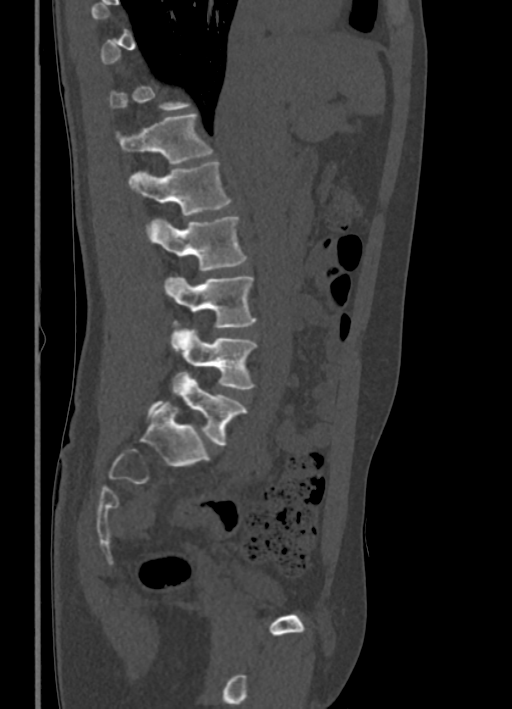
CT · sagittal reformat · W/L 1800/400 HU · 512x709 px
Boxes are (x1, y1, x2, y2) in pixels.
A vertebra is boxed only from the first to the last slice where its cross-section is at least a third of its largest; slices outside that range leave it without a box.
T12: (117, 112, 212, 164)
L1: (128, 161, 230, 215)
L2: (146, 216, 247, 270)
L3: (164, 276, 256, 328)
L4: (169, 328, 256, 389)
L5: (147, 372, 246, 445)